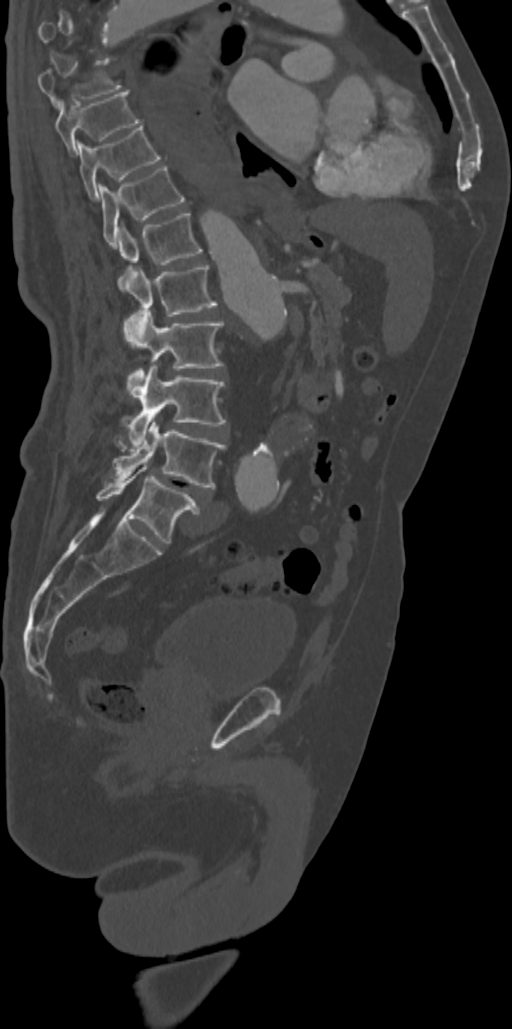 Computed tomography of the spine. sagittal reformat. bone window
In the table, x1 and y1 are a box's top-left corner and x2 and y2 its bottom-right corner, in pixels.
A vertebra is boxed only from the first to the last slice where its cross-section is at least a third of its largest; slices outside that range leave it without a box.
| vertebra | x1 | y1 | x2 | y2 |
|---|---|---|---|---|
| T8 | 37 | 61 | 122 | 107 |
| T9 | 55 | 90 | 140 | 154 |
| T10 | 76 | 126 | 161 | 199 |
| T11 | 99 | 166 | 184 | 246 |
| T12 | 117 | 211 | 202 | 284 |
| L1 | 118 | 265 | 217 | 316 |
| L2 | 124 | 310 | 223 | 397 |
| L3 | 127 | 364 | 225 | 444 |
| L4 | 111 | 420 | 226 | 489 |
| L5 | 96 | 465 | 199 | 543 |